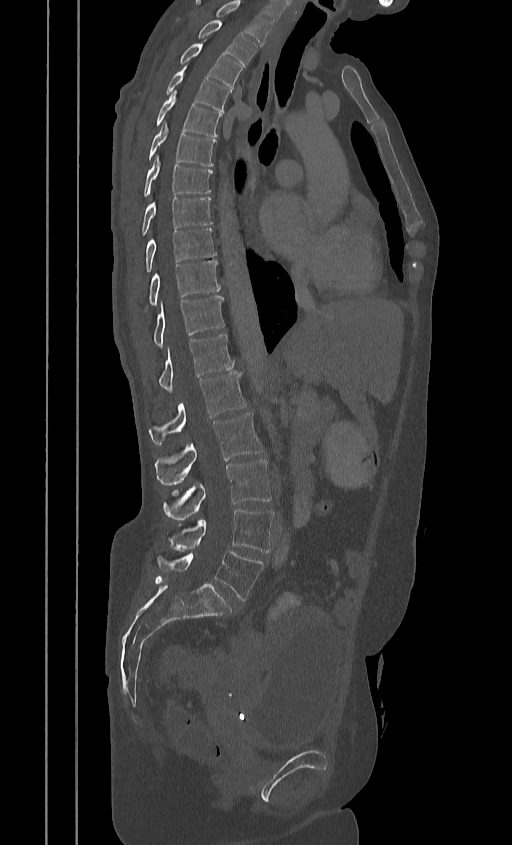 Spine computed tomography — sagittal view — 512x845 px — 384 mm wide
Boxes below are [x1, y1, x2, y2] in pixels.
This scan's labels start at T2 at the top and end at L5 at the bottom.
{"vertebrae":{"T2":[197,20,256,66],"T3":[178,44,242,88],"T4":[165,68,231,112],"T5":[154,91,221,136],"T6":[148,123,216,166],"T7":[142,156,212,198],"T8":[140,197,212,238],"T9":[144,228,216,272],"T10":[145,260,220,310],"T11":[153,296,224,347],"T12":[158,333,233,391],"L1":[149,372,247,444],"L2":[154,412,263,486],"L3":[164,460,271,519],"L4":[170,509,273,552],"L5":[157,551,263,600]}}